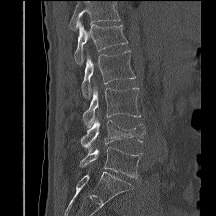 CT spine. sagittal reformat. 216 mm wide. bone-window reconstruction

Each box is [x1, y1, x2, y2] in pixels: top-left corner, then bottom-right corner.
No box is given to a vertebra that the top edge of the scan cuts off.
{"vertebrae":{"L1":[74,22,127,64],"L2":[81,51,135,98],"L3":[82,87,141,127],"L4":[80,118,145,152],"L5":[79,146,142,178]}}